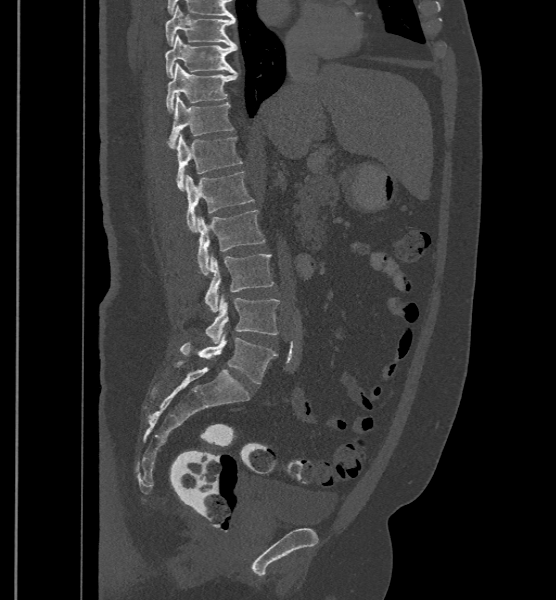

CT · sagittal view · W/L 1800/400 HU
Each vertebra maps to its box as [x1, y1, x2, y2], the pixel coordinates of its top-left and bottom-right corners.
These labels give the spine a sixth lumbar vertebra, L6, below L5.
{"vertebrae":{"L6":[180,334,277,383],"L5":[205,296,279,343],"L4":[204,253,275,312],"L3":[196,210,266,275],"L2":[186,171,255,232],"L1":[177,134,242,190],"T12":[167,94,233,149],"T11":[167,63,237,112],"T10":[166,34,237,77],"T9":[165,5,236,46]}}